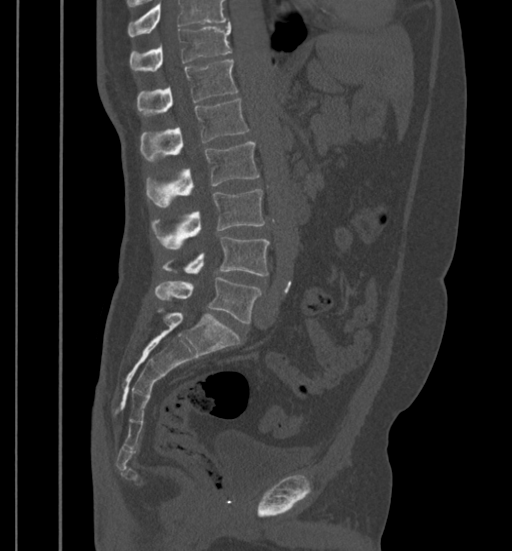 CT — the image is 399 mm wide — sagittal view
Box values are [left, top, right, bottom] in pixels.
A vertebra cut off by the top edge of the scan is not labeled and has no box.
{"vertebrae":{"L5":[155,277,261,323],"L4":[163,236,270,276],"L3":[151,188,264,248],"L2":[146,141,259,206],"L1":[140,99,249,160],"T12":[137,60,238,114],"T11":[129,24,231,71]}}